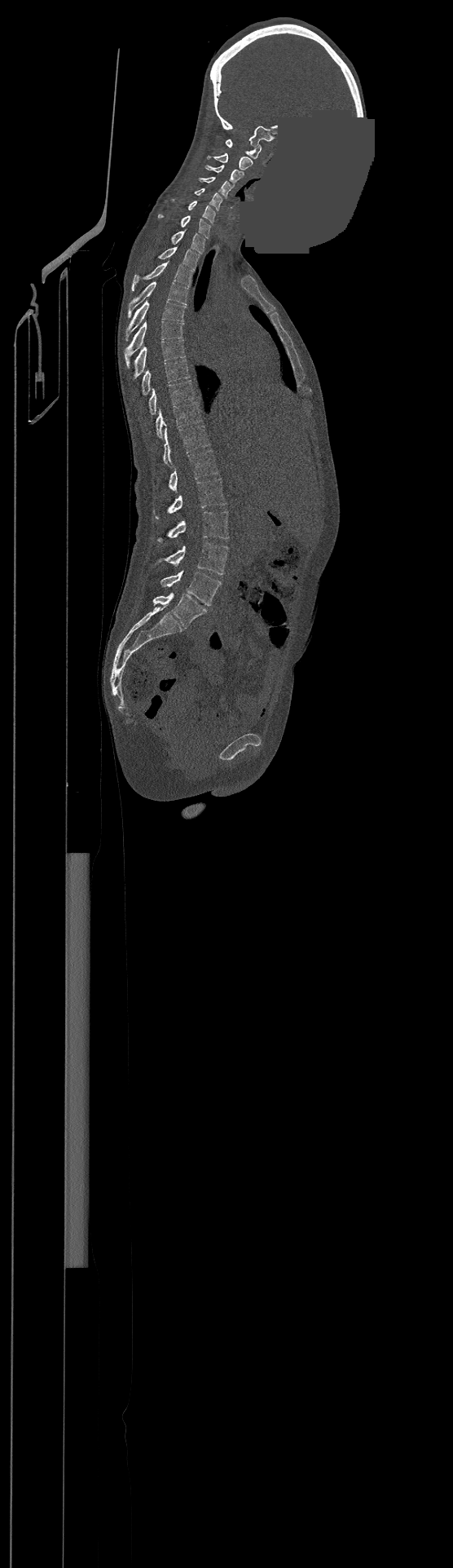

CT — sagittal view — a region is masked with a constant gray value
This scan's labels start at C1 at the top and end at L4 at the bottom.
<vertebrae><v name="C1" x1="226" y1="139" x2="261" y2="158"/><v name="C2" x1="207" y1="152" x2="253" y2="170"/><v name="C3" x1="205" y1="165" x2="244" y2="184"/><v name="C4" x1="199" y1="176" x2="231" y2="197"/><v name="C5" x1="195" y1="188" x2="222" y2="210"/><v name="C6" x1="188" y1="201" x2="215" y2="223"/><v name="C7" x1="158" y1="214" x2="210" y2="238"/><v name="T1" x1="172" y1="231" x2="205" y2="254"/><v name="T2" x1="158" y1="247" x2="199" y2="270"/><v name="T3" x1="131" y1="262" x2="192" y2="290"/><v name="T4" x1="128" y1="281" x2="188" y2="316"/><v name="T5" x1="125" y1="301" x2="185" y2="340"/><v name="T6" x1="124" y1="321" x2="183" y2="368"/><v name="T7" x1="134" y1="340" x2="185" y2="378"/><v name="T8" x1="142" y1="360" x2="189" y2="395"/><v name="T9" x1="148" y1="380" x2="195" y2="414"/><v name="T10" x1="156" y1="402" x2="201" y2="439"/><v name="T11" x1="163" y1="426" x2="209" y2="466"/><v name="T12" x1="168" y1="450" x2="218" y2="492"/><v name="L1" x1="153" y1="478" x2="226" y2="519"/><v name="L2" x1="157" y1="510" x2="228" y2="541"/><v name="L3" x1="158" y1="542" x2="228" y2="574"/><v name="L4" x1="160" y1="571" x2="221" y2="605"/></vertebrae>